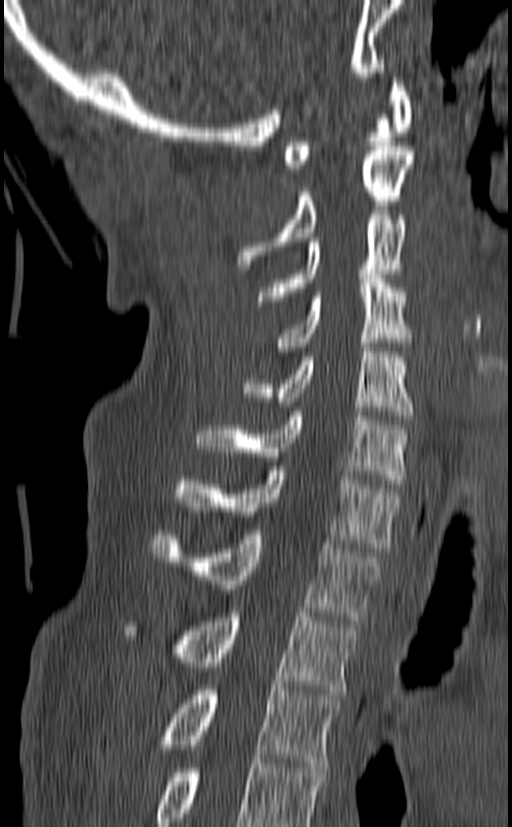
CT spine; sagittal view; bone-window reconstruction

Coordinates as <box>x1,y1,x2,y2</box>.
In this scan, the topmost labeled vertebra is C1 and the lowest is T3.
T3: <box>162,686,340,767</box>
T2: <box>124,608,359,694</box>
T1: <box>151,530,381,621</box>
C7: <box>177,466,399,552</box>
C6: <box>195,411,407,484</box>
C5: <box>242,343,414,420</box>
C4: <box>276,274,410,351</box>
C3: <box>257,215,406,305</box>
C2: <box>236,146,414,269</box>
C1: <box>283,78,412,168</box>